CT spine. Sagittal slice 165/312. W/L 1800/400 HU
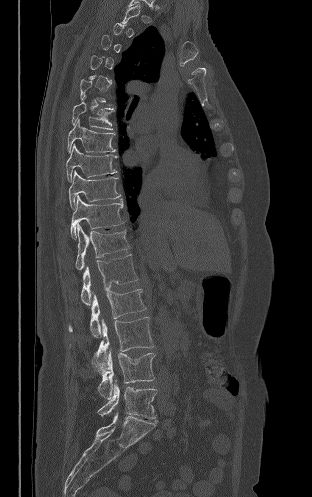

Boxes: x1:y1:x2:y2 in pixels. Each vertebra is boxed only on the slices from the first to the last where its cross-section reaches a third of its largest, so a slice outside that range leaves it unboxed. The labeled vertebrae in this slice are: T7 at 71:96:113:129, T8 at 67:119:115:152, T9 at 66:144:117:181, T10 at 69:170:121:209, T11 at 70:195:124:238, T12 at 75:224:129:270, L1 at 81:254:138:305, L2 at 68:289:146:337, L3 at 92:317:153:373, L4 at 98:348:155:399, L5 at 98:380:156:418.